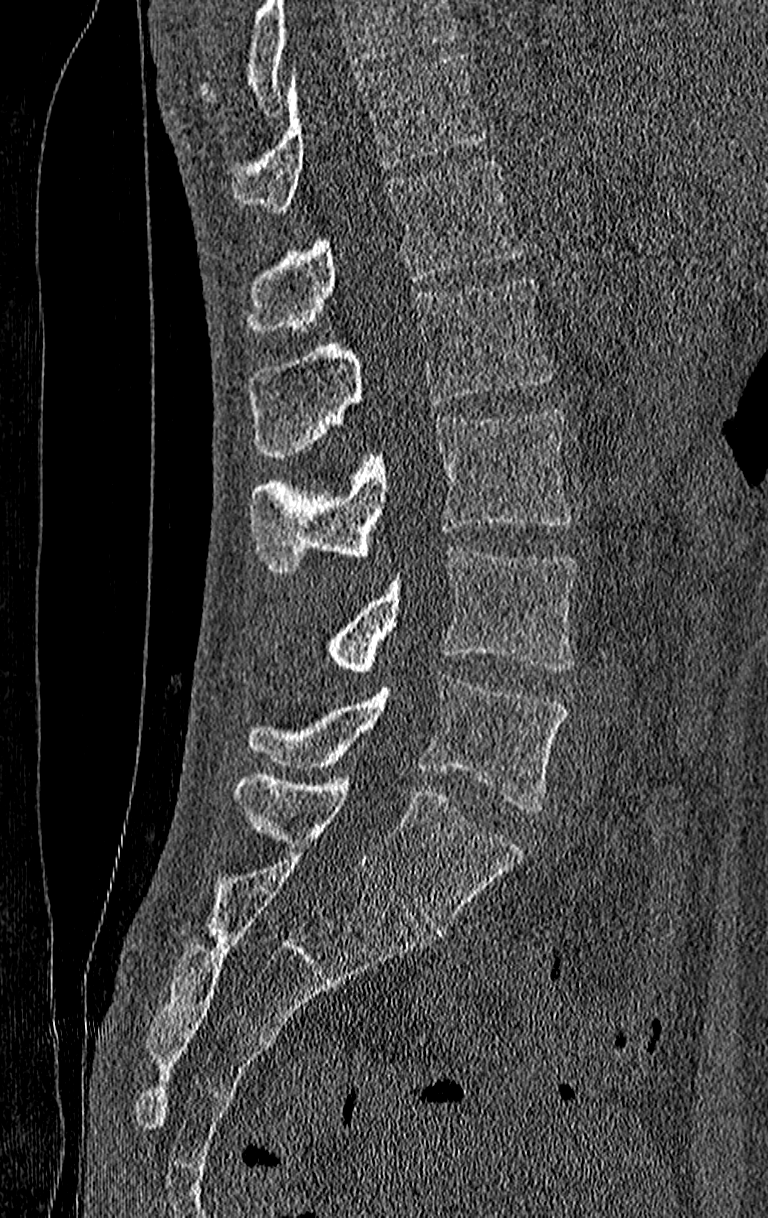
CT — sagittal view

Boxes: x1:y1:x2:y2 in pixels.
Where the top of the scan cuts through a vertebra, that vertebra gets no label or box.
The highest labeled vertebra in this scan is T11; the lowest is L4.
Vertebra bounding boxes:
- L4: 247:678:568:812
- L3: 324:546:579:672
- L2: 251:410:572:573
- L1: 247:278:554:457
- T12: 247:161:524:333
- T11: 233:53:484:211